CT — sagittal reformat — 356 mm image width
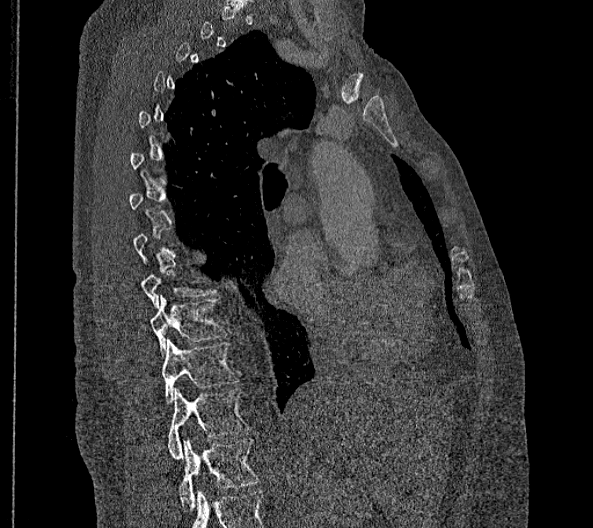
Each vertebra maps to its box as [x1, y1, x2, y2], the pixel coordinates of its top-left and bottom-right corners.
A vertebra gets a box only on the slices from the first to the last where its cross-section is at least a third of its largest; on a slice outside that range it gets none.
In these labels the thoracic vertebrae end at T11, so L1 follows T11.
{"vertebrae":{"T9":[141,269,217,308],"T10":[149,295,225,357],"T11":[161,339,239,403],"L1":[168,388,249,459],"L2":[178,438,259,511]}}